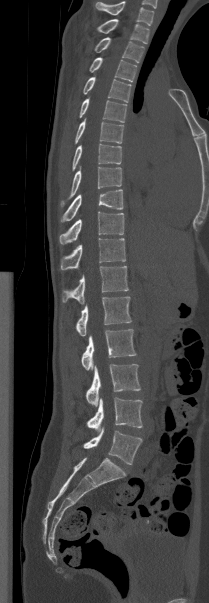

CT — sagittal view — bone-window reconstruction

Labels in this scan begin with T1 at the top and end with L5 at the bottom.
<vertebrae><v name="T1" x1="97" y1="19" x2="149" y2="44"/><v name="T2" x1="94" y1="37" x2="144" y2="62"/><v name="T3" x1="89" y1="57" x2="136" y2="81"/><v name="T4" x1="83" y1="77" x2="131" y2="102"/><v name="T5" x1="79" y1="98" x2="127" y2="122"/><v name="T6" x1="75" y1="118" x2="123" y2="143"/><v name="T7" x1="72" y1="143" x2="121" y2="170"/><v name="T8" x1="60" y1="166" x2="121" y2="206"/><v name="T9" x1="61" y1="189" x2="123" y2="221"/><v name="T10" x1="59" y1="211" x2="123" y2="244"/><v name="T11" x1="60" y1="238" x2="125" y2="269"/><v name="T12" x1="62" y1="266" x2="128" y2="303"/><v name="L1" x1="75" y1="296" x2="131" y2="336"/><v name="L2" x1="81" y1="329" x2="136" y2="370"/><v name="L3" x1="85" y1="364" x2="140" y2="406"/><v name="L4" x1="86" y1="398" x2="142" y2="431"/><v name="L5" x1="83" y1="427" x2="142" y2="464"/></vertebrae>